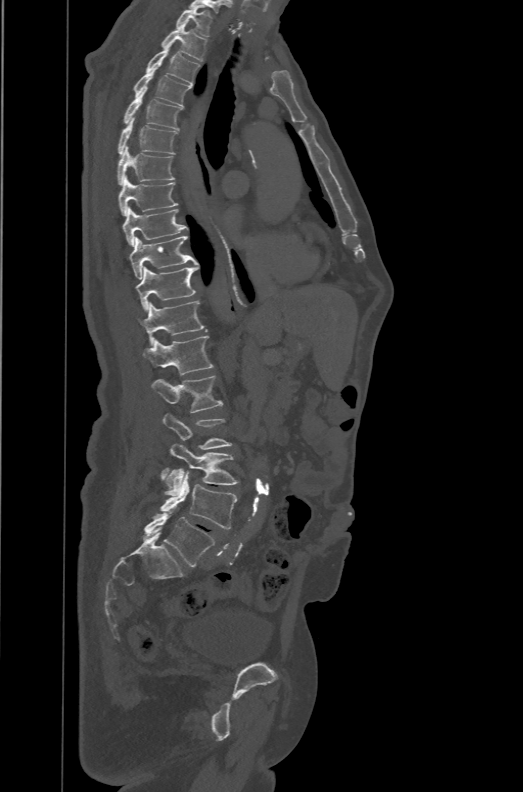
CT spine · sagittal view · 523x792 px

Each box given as x1,y1,x2,y2. These labels give the spine a sixth lumbar vertebra, L6, below L5. Vertebrae labeled: T1 at x1=176, y1=5, x2=213, y2=37, T2 at x1=161, y1=24, x2=208, y2=61, T3 at x1=145, y1=43, x2=200, y2=85, T4 at x1=133, y1=68, x2=191, y2=107, T5 at x1=123, y1=92, x2=182, y2=130, T6 at x1=118, y1=118, x2=178, y2=155, T7 at x1=117, y1=145, x2=175, y2=184, T8 at x1=118, y1=176, x2=177, y2=215, T9 at x1=122, y1=206, x2=188, y2=246, T10 at x1=129, y1=235, x2=198, y2=279, T11 at x1=136, y1=266, x2=198, y2=312, T12 at x1=138, y1=300, x2=206, y2=345, L1 at x1=142, y1=335, x2=213, y2=374, L2 at x1=150, y1=375, x2=222, y2=412, L3 at x1=163, y1=413, x2=232, y2=449, L4 at x1=165, y1=444, x2=238, y2=495, L5 at x1=159, y1=468, x2=237, y2=529, L6 at x1=142, y1=512, x2=215, y2=567.